CT spine; Sagittal slice 111/204; bone-window reconstruction
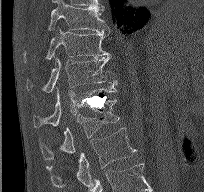
Box edges are left/top/right/bottom in pixels. The labeled vertebrae in this slice are: L2 at left=46, top=127, right=136, bottom=188, L1 at left=40, top=99, right=119, bottom=158, T12 at left=33, top=88, right=115, bottom=128, T11 at left=26, top=55, right=117, bottom=92, T10 at left=24, top=26, right=109, bottom=62, T9 at left=48, top=0, right=109, bottom=32.